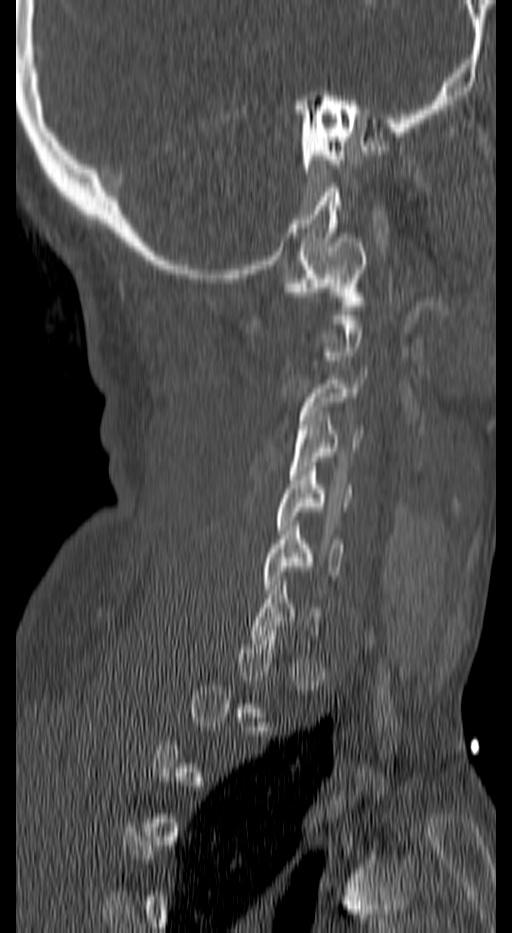

Spine CT. the image spans 140 mm across. sagittal view
In the table, x1 and y1 are a box's top-left corner and x2 and y2 its bottom-right corner, in pixels.
A vertebra gets a box only on the slices from the first to the last where its cross-section is at least a third of its largest; on a slice outside that range it gets none.
| vertebra | x1 | y1 | x2 | y2 |
|---|---|---|---|---|
| C1 | 286 | 238 | 366 | 305 |
| C3 | 297 | 370 | 366 | 438 |
| C4 | 290 | 411 | 362 | 479 |
| C5 | 276 | 466 | 351 | 534 |
| C6 | 265 | 521 | 344 | 593 |